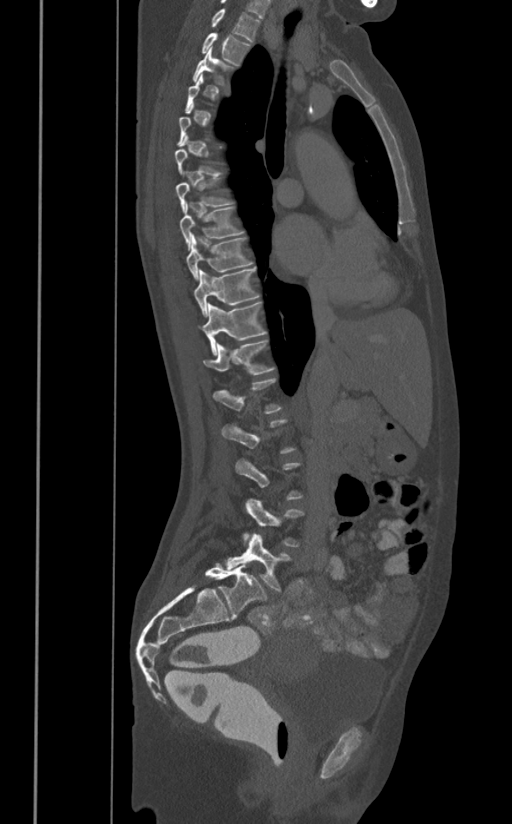
Spine computed tomography — sagittal view — W/L 1800/400 HU. Bounding boxes as [x1, y1, x2, y2] in pixel coordinates. Each vertebra is boxed only on the slices from the first to the last where its cross-section reaches a third of its largest, so a slice outside that range leaves it unboxed. The labeled vertebrae in this slice are: T1 at [211, 8, 260, 41], T2 at [202, 33, 250, 65], T3 at [193, 46, 234, 85], T7 at [175, 172, 235, 212], T8 at [179, 203, 245, 250], T9 at [187, 235, 254, 279], T10 at [194, 268, 259, 316], T11 at [203, 302, 266, 355], T12 at [203, 339, 275, 375], L1 at [213, 377, 283, 413], L2 at [221, 420, 296, 454], L4 at [242, 499, 304, 547], L5 at [224, 534, 292, 591].